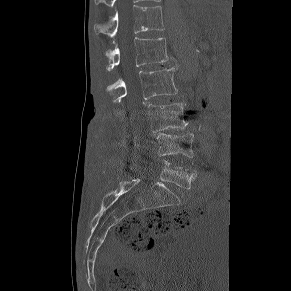
CT. sagittal view. 291x291 px. 291 mm wide
Boxes: x1 y1 x2 y2 (pixel coords, space-separated). The labeled vertebrae in this slice are: T12 at 94 5 164 37, L1 at 106 37 168 70, L2 at 106 67 177 105, L3 at 148 103 187 132, L4 at 157 133 193 157, L5 at 131 160 196 188.